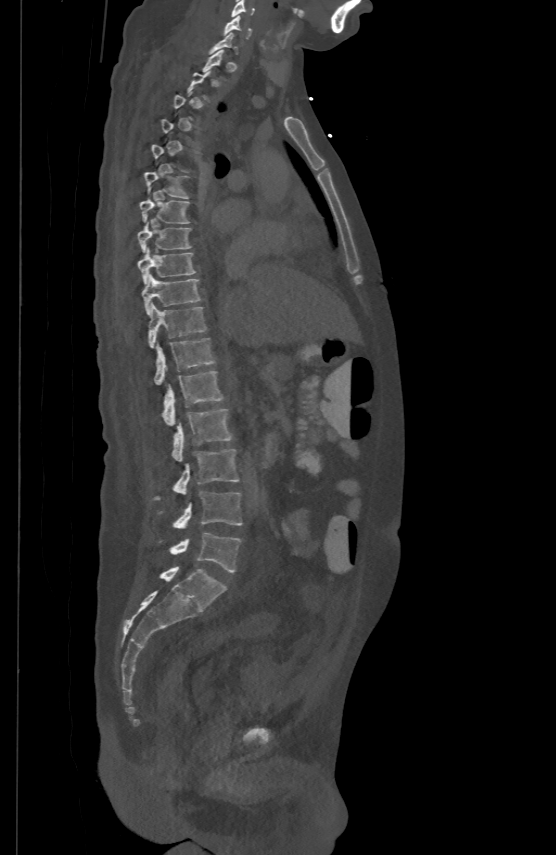
Spine computed tomography · sagittal view · W/L 1800/400 HU

Bounding boxes as [x1, y1, x2, y2] in pixel coordinates. A vertebra gets a box only on the slices from the first to the last where its cross-section is at least a third of its largest; on a slice outside that range it gets none. Vertebrae labeled: L5 at [160, 532, 241, 572], L4 at [160, 491, 242, 527], L3 at [153, 448, 239, 500], L2 at [171, 407, 231, 461], L1 at [162, 370, 223, 424], T12 at [154, 337, 215, 383], T11 at [148, 304, 206, 346], T10 at [142, 273, 200, 313], T9 at [138, 246, 195, 283], T8 at [138, 220, 191, 251], T7 at [140, 197, 190, 222], T6 at [144, 171, 189, 198], C6 at [224, 14, 250, 38], C5 at [231, 0, 255, 16].